Spine CT · sagittal view · image width 363 mm · W/L 1800/400 HU · 7 vertebrae labeled in this scan
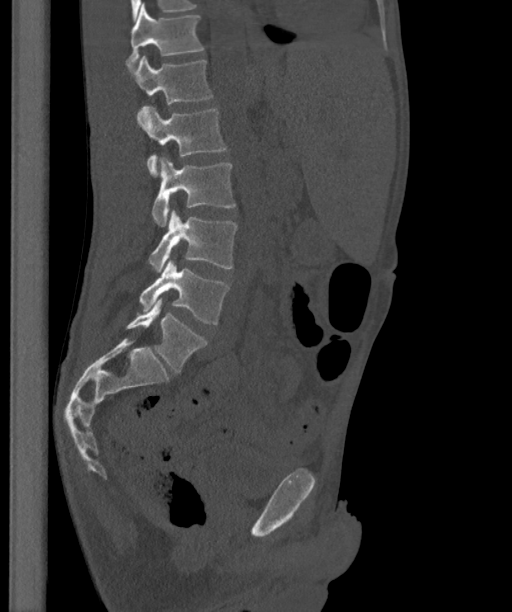

Coordinates as <box>x1,y1,x2,y2</box>.
These labels give the spine a sixth lumbar vertebra, L6, below L5.
Vertebra bounding boxes:
- T12: <box>126,4,203,68</box>
- L1: <box>134,55,213,104</box>
- L2: <box>137,105,226,177</box>
- L3: <box>152,157,236,226</box>
- L4: <box>148,209,237,272</box>
- L5: <box>139,259,229,324</box>
- L6: <box>126,298,206,372</box>